Spine computed tomography — sagittal view — the image is 377 mm wide — bone window
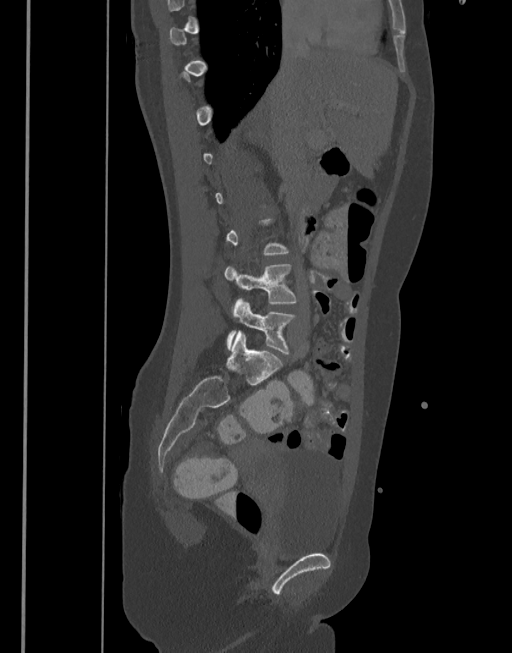
Boxes: x1 y1 x2 y2 (pixel coords, space-separated).
Not every vertebra on this slice has a box: a vertebra is boxed only from the first to the last slice where its cross-section is at least a third of its largest, and this slice is outside that range for at least one of them.
L4: 224 264 297 305
L5: 226 298 296 353